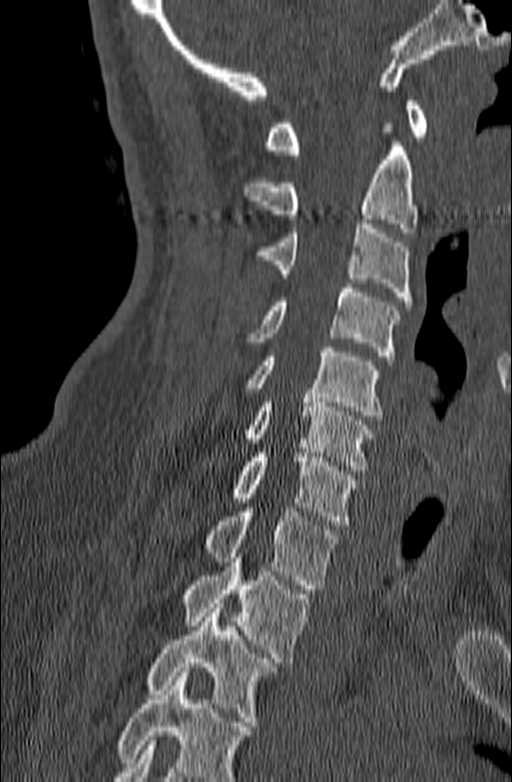 CT, spine · sagittal view · the image is 140 mm wide
Each box is [x1, y1, x2, y2] in pixels: top-left corner, then bottom-right corner.
Where the bottom of the scan cuts through a vertebra, that vertebra gets no label or box.
{"vertebrae":{"C1":[265,101,427,154],"C2":[242,123,419,232],"C3":[257,219,411,305],"C4":[246,283,399,360],"C5":[228,347,382,420],"C6":[246,393,373,470],"C7":[232,453,359,525],"T1":[203,507,337,589],"T2":[183,558,308,662],"T3":[148,603,278,726]}}